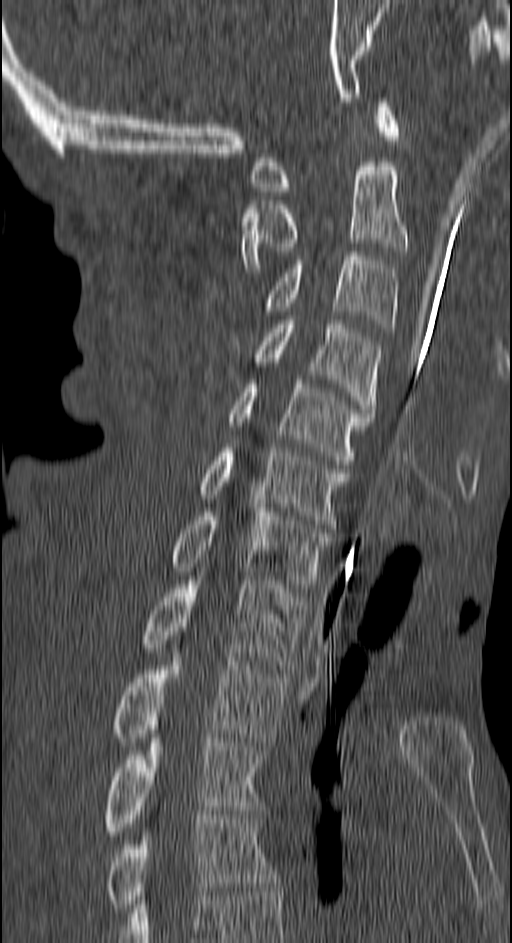

Spine CT. sagittal view
Boxes: x1 y1 x2 y2 (pixel coords, space-separated). 11 vertebrae labeled — T4 at 107 815 277 912; T3 at 104 738 263 835; T2 at 114 644 288 746; T1 at 145 576 305 669; C7 at 172 508 331 588; C6 at 199 448 345 528; C5 at 230 380 373 464; C4 at 254 320 379 413; C3 at 264 252 396 332; C2 at 240 162 406 272; C1 at 253 98 400 195.